CT, spine — Sagittal slice 265/512 — Bone window (WL 400, WW 1800)
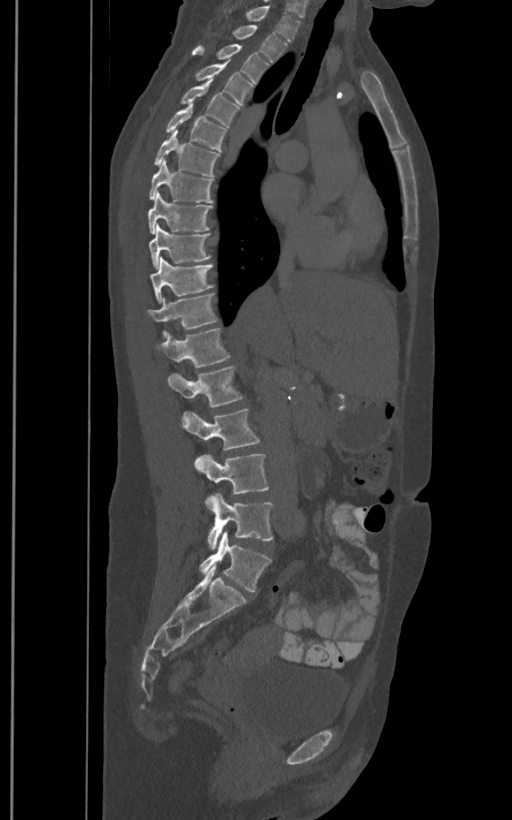 Each vertebra maps to its box as [x1, y1, x2, y2], the pixel coordinates of its top-left and bottom-right corners.
These labels give the spine a sixth lumbar vertebra, L6, below L5.
{"vertebrae":{"L6":[200,531,271,591],"L5":[207,493,273,550],"L4":[194,454,269,502],"L3":[182,408,260,449],"L2":[168,366,243,407],"L1":[155,327,231,368],"T12":[147,293,218,330],"T11":[150,257,214,302],"T10":[148,223,210,267],"T9":[147,194,213,233],"T8":[148,159,213,203],"T7":[153,129,219,176],"T6":[165,103,227,151],"T5":[180,81,239,127],"T4":[194,62,254,105],"T3":[192,44,269,83],"T2":[233,24,287,61],"T1":[246,5,300,42]}}